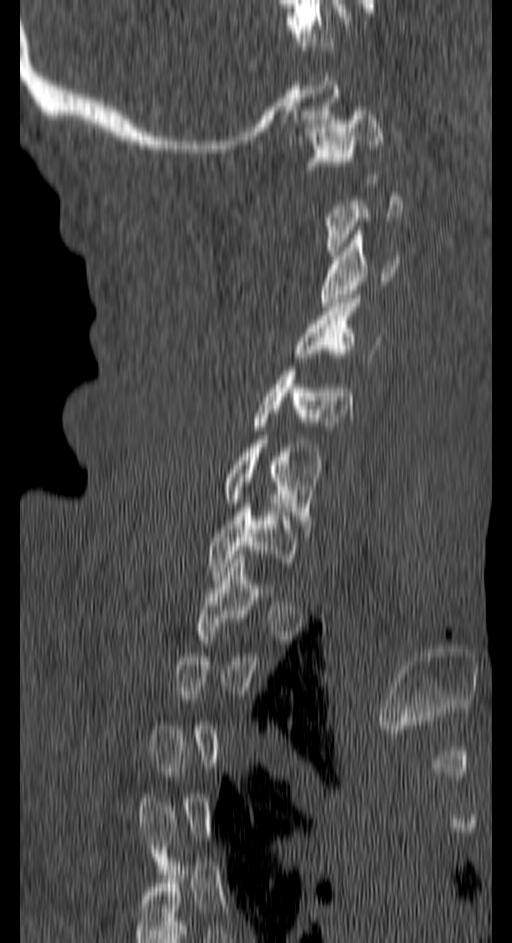

CT. 150 mm image width. sagittal view. 512x943 px

Box edges are left/top/right/bottom in pixels.
A vertebra gets a box only on the slices from the first to the last where its cross-section is at least a third of its largest; on a slice outside that range it gets none.
Vertebra bounding boxes:
- C1: left=306, top=111, right=383, bottom=182
- C3: left=321, top=230, right=398, bottom=306
- C4: left=295, top=299, right=376, bottom=366
- C5: left=254, top=371, right=352, bottom=430
- C6: left=223, top=439, right=321, bottom=524
- C7: left=209, top=503, right=297, bottom=575